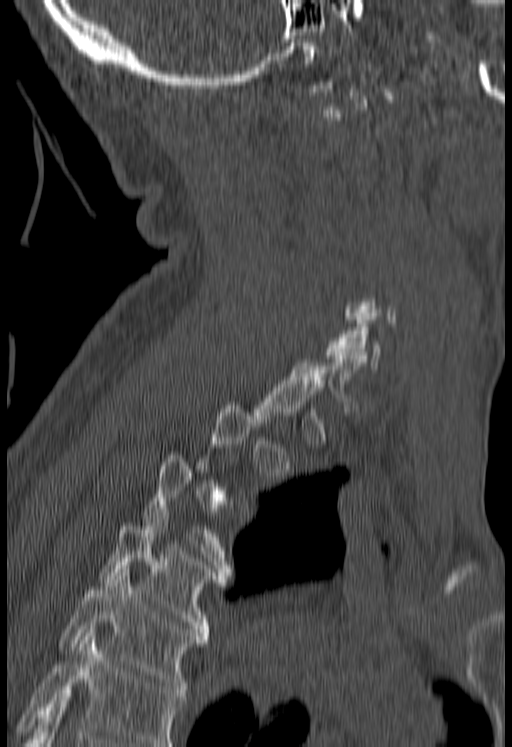
CT spine; sagittal reformat; 512x747 px
Not every vertebra on this slice has a box: a vertebra is boxed only from the first to the last slice where its cross-section is at least a third of its largest, and this slice is outside that range for at least one of them.
A vertebra cut off by the bottom edge of the scan is not labeled and has no box.
<vertebrae><v name="C6" x1="325" y1="316" x2="380" y2="369"/><v name="T4" x1="98" y1="512" x2="230" y2="639"/><v name="T5" x1="58" y1="569" x2="208" y2="696"/></vertebrae>